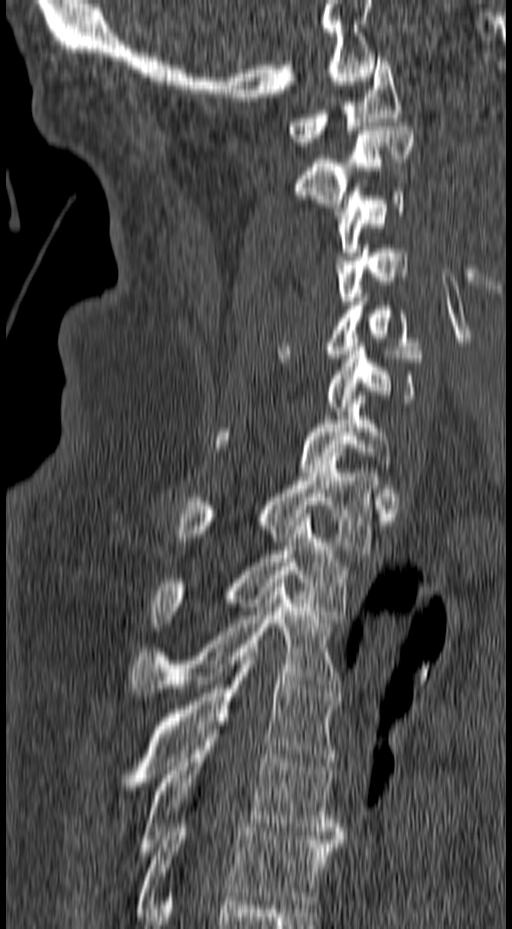
Computed tomography of the spine; sagittal reformat; 157 mm across the image
Box edges are left/top/right/bottom in pixels. 13 vertebrae labeled — T6 at left=136, top=819, right=343, bottom=912; T5 at left=138, top=726, right=343, bottom=855; T4 at left=120, top=648, right=339, bottom=790; T3 at left=131, top=579, right=340, bottom=696; T2 at left=151, top=514, right=346, bottom=627; T1 at left=174, top=457, right=376, bottom=553; C7 at left=216, top=391, right=393, bottom=472; C6 at left=327, top=346, right=423, bottom=415; C5 at left=277, top=294, right=426, bottom=358; C4 at left=335, top=245, right=408, bottom=305; C3 at left=334, top=188, right=404, bottom=256; C2 at left=295, top=122, right=414, bottom=207; C1 at left=288, top=57, right=402, bottom=146.